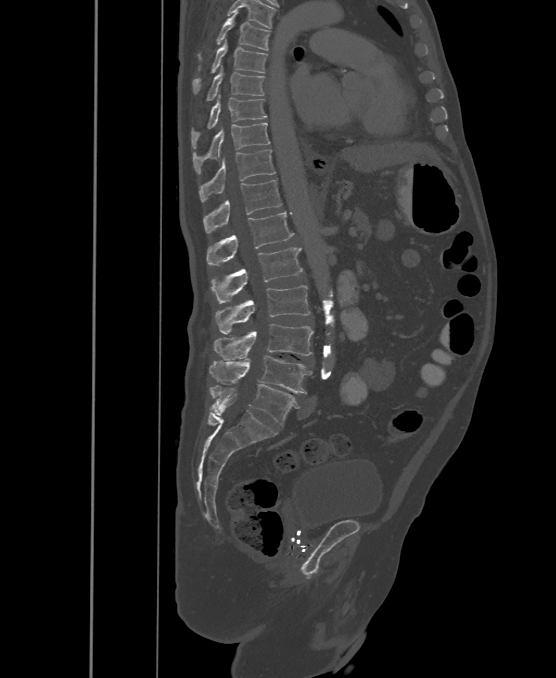
Spine CT · sagittal view · bone window
Boxes are (x1, y1, x2, y2) in pixels.
In these labels the spine has an L6, a sixth lumbar vertebra below L5.
T6: (197, 11, 270, 59)
T7: (192, 41, 267, 94)
T8: (205, 68, 265, 100)
T9: (191, 94, 267, 148)
T10: (192, 123, 270, 174)
T11: (199, 149, 276, 202)
T12: (203, 180, 281, 233)
L1: (206, 213, 293, 265)
L2: (212, 247, 303, 303)
L3: (215, 285, 310, 334)
L4: (214, 324, 314, 360)
L5: (208, 356, 312, 393)
L6: (211, 384, 297, 425)